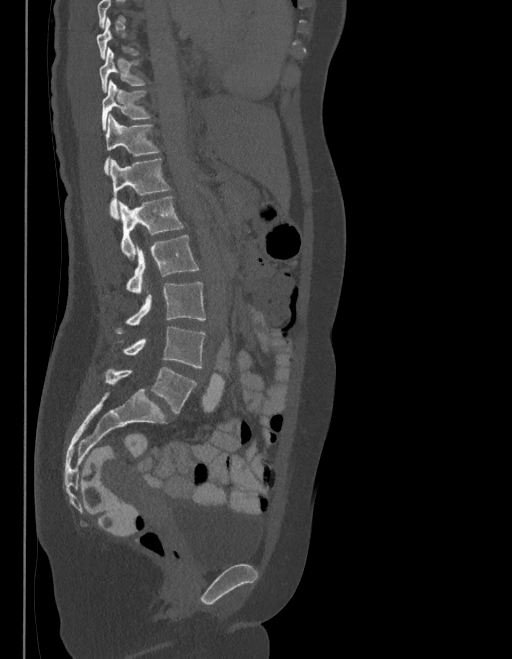

Spine CT; sagittal view; bone window; 512x659 px

Each box is [x1, y1, x2, y2] in pixels: top-left corner, then bottom-right corner.
Not every vertebra on this slice has a box: a vertebra is boxed only from the first to the last slice where its cross-section is at least a third of its largest, and this slice is outside that range for at least one of them.
In these labels the spine has an L6, a sixth lumbar vertebra below L5.
{"vertebrae":{"L6":[105,367,196,413],"L5":[124,327,205,368],"L4":[117,281,205,334],"L3":[127,236,198,293],"L2":[119,197,183,260],"L1":[109,158,169,219],"T12":[104,115,158,173],"T11":[102,81,149,129],"T10":[99,48,144,93]}}